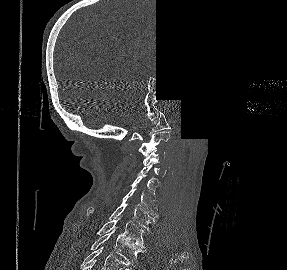 Spine computed tomography · sagittal view · Bone window (WL 400, WW 1800) · image 287 mm wide · an area of the scan was removed and filled with constant pixels. Boxes are (x1, y1, x2, y2) in pixels.
Vertebra bounding boxes:
- T2: (90, 227, 143, 264)
- T1: (97, 218, 144, 248)
- C7: (86, 202, 156, 229)
- C6: (122, 189, 158, 218)
- C5: (131, 175, 159, 201)
- C4: (137, 165, 166, 177)
- C3: (143, 150, 165, 166)
- C2: (138, 131, 170, 156)
- C1: (129, 111, 171, 140)